Spine CT; sagittal view; bone window; image width 150 mm
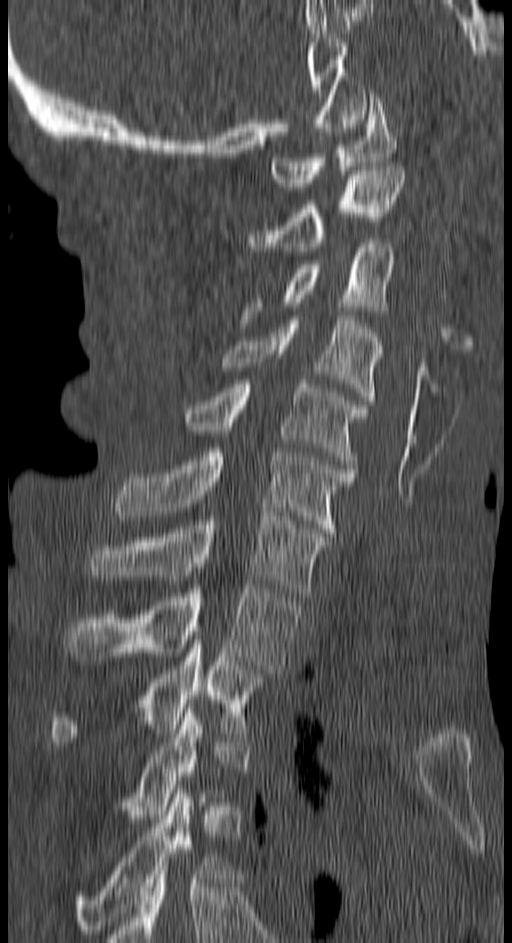
Boxes: x1:y1:x2:y2 in pixels. Each vertebra is boxed only on the slices from the first to the last where its cross-section reaches a third of its largest, so a slice outside that range leaves it unboxed. The labeled vertebrae in this slice are: T4 at 73:789:225:933, T2 at 52:640:266:746, T1 at 66:585:298:673, C7 at 90:516:328:596, C6 at 114:452:355:537, C5 at 186:380:365:468, C4 at 221:316:383:400, C3 at 239:239:393:323, C2 at 251:166:406:251, C1 at 271:94:396:187.